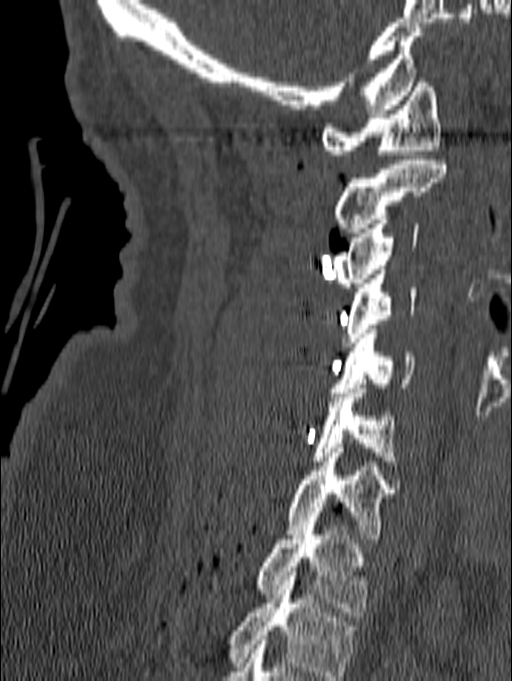 CT; sagittal view; W/L 1800/400 HU. Coordinates as <box>x1,y1,x2,y2</box>. The highest labeled vertebra in this scan is C1; the lowest is T1. Vertebrae labeled: T1 at <box>254,517,368,616</box>, C7 at <box>284,448,395,543</box>, C6 at <box>311,384,399,465</box>, C5 at <box>330,325,414,397</box>, C4 at <box>342,270,416,346</box>, C3 at <box>332,219,419,287</box>, C2 at <box>333,160,446,237</box>, C1 at <box>321,78,441,159</box>.